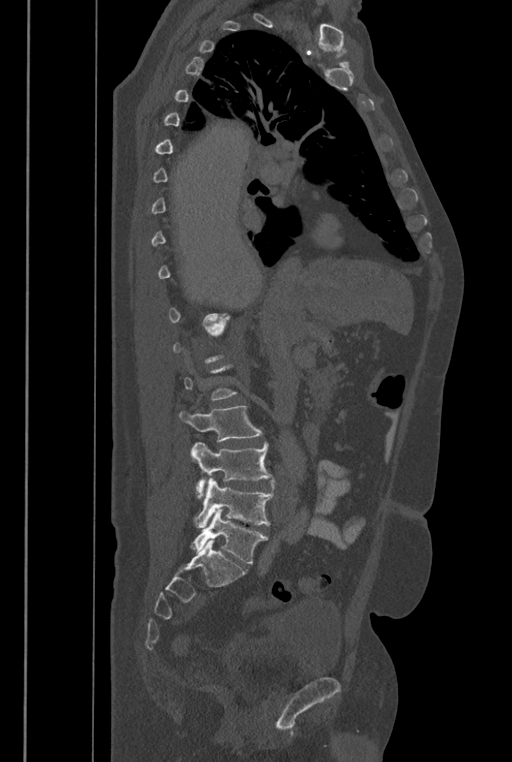
Computed tomography of the spine; sagittal reformat; 512x762 px; the image is 446 mm wide
Each box is [x1, y1, x2, y2] in pixels: top-left corner, then bottom-right corner.
Not every vertebra on this slice has a box: a vertebra is boxed only from the first to the last slice where its cross-section is at least a third of its largest, and this slice is outside that range for at least one of them.
In these labels the spine has an L6, a sixth lumbar vertebra below L5.
{"vertebrae":{"L3":[179,405,262,441],"L4":[190,442,272,498],"L5":[193,477,274,527],"L6":[189,508,268,564]}}